CT. sagittal view. the image spans 467 mm across. bone window
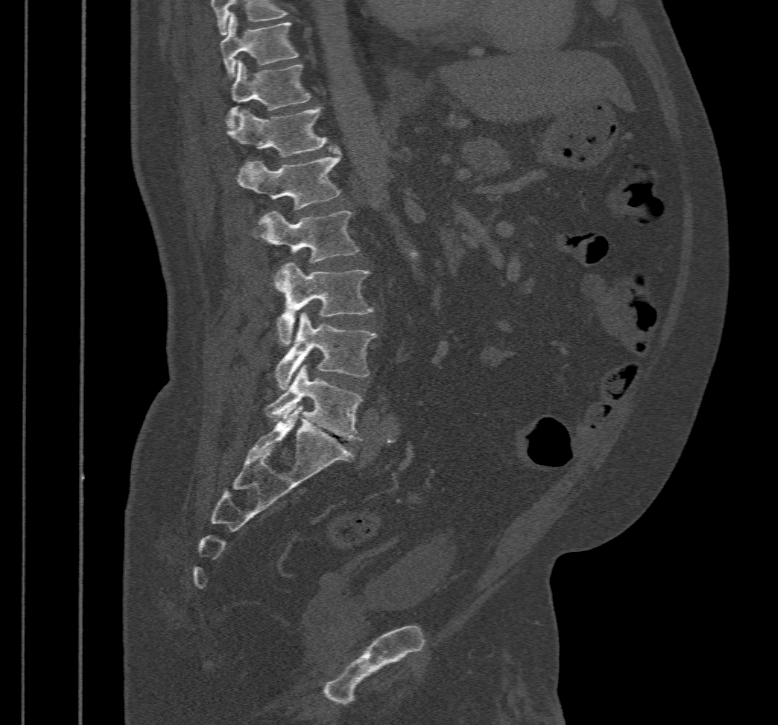 Boxes are given in columns x1, y1, x2, y2, the pixel coordinates of their top-left and bottom-right corners.
| vertebra | x1 | y1 | x2 | y2 |
|---|---|---|---|---|
| T10 | 220 | 12 | 298 | 78 |
| T11 | 227 | 59 | 311 | 128 |
| T12 | 227 | 107 | 332 | 156 |
| L1 | 237 | 150 | 341 | 209 |
| L2 | 257 | 210 | 359 | 263 |
| L3 | 277 | 262 | 374 | 346 |
| L4 | 275 | 312 | 378 | 389 |
| L5 | 265 | 364 | 362 | 441 |